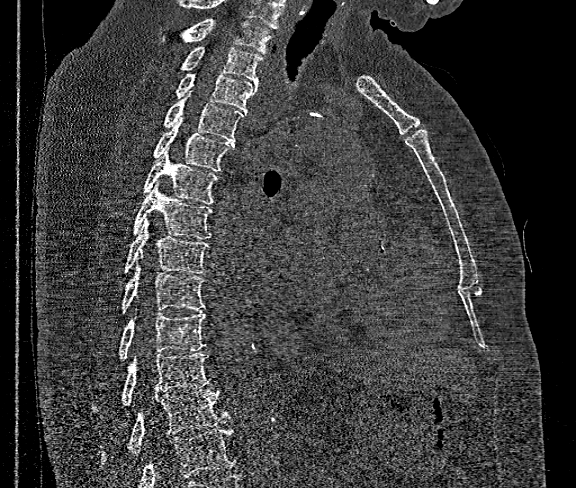 CT spine. sagittal view
Boxes: x1 y1 x2 y2 (pixel coords, space-separated).
Vertebrae that run past the bottom of the scan are left unlabeled.
This scan's labels start at T1 at the top and end at T12 at the bottom.
T1: 161 18 272 54
T2: 179 47 262 83
T3: 174 74 258 113
T4: 163 95 245 140
T5: 152 116 234 172
T6: 142 148 218 204
T7: 133 182 212 238
T8: 123 217 208 273
T9: 121 259 205 315
T10: 118 312 207 361
T11: 92 354 212 412
T12: 100 389 231 463